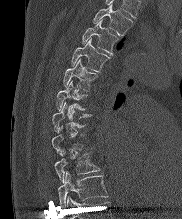
CT; sagittal view; the image spans 182 mm across
Box edges are left/top/right/bottom in pixels.
A vertebra is boxed only from the first to the last slice where its cross-section is at least a third of its largest; slices outside that range leave it without a box.
Labels in this scan begin with T2 at the top and end with T10 at the bottom.
Vertebra bounding boxes:
- T2: left=93, top=4, right=132, bottom=35
- T3: left=82, top=19, right=119, bottom=55
- T4: left=71, top=39, right=110, bottom=71
- T5: left=63, top=59, right=98, bottom=91
- T6: left=56, top=80, right=87, bottom=110
- T7: left=52, top=102, right=91, bottom=132
- T9: left=54, top=150, right=100, bottom=182
- T10: left=58, top=172, right=107, bottom=207